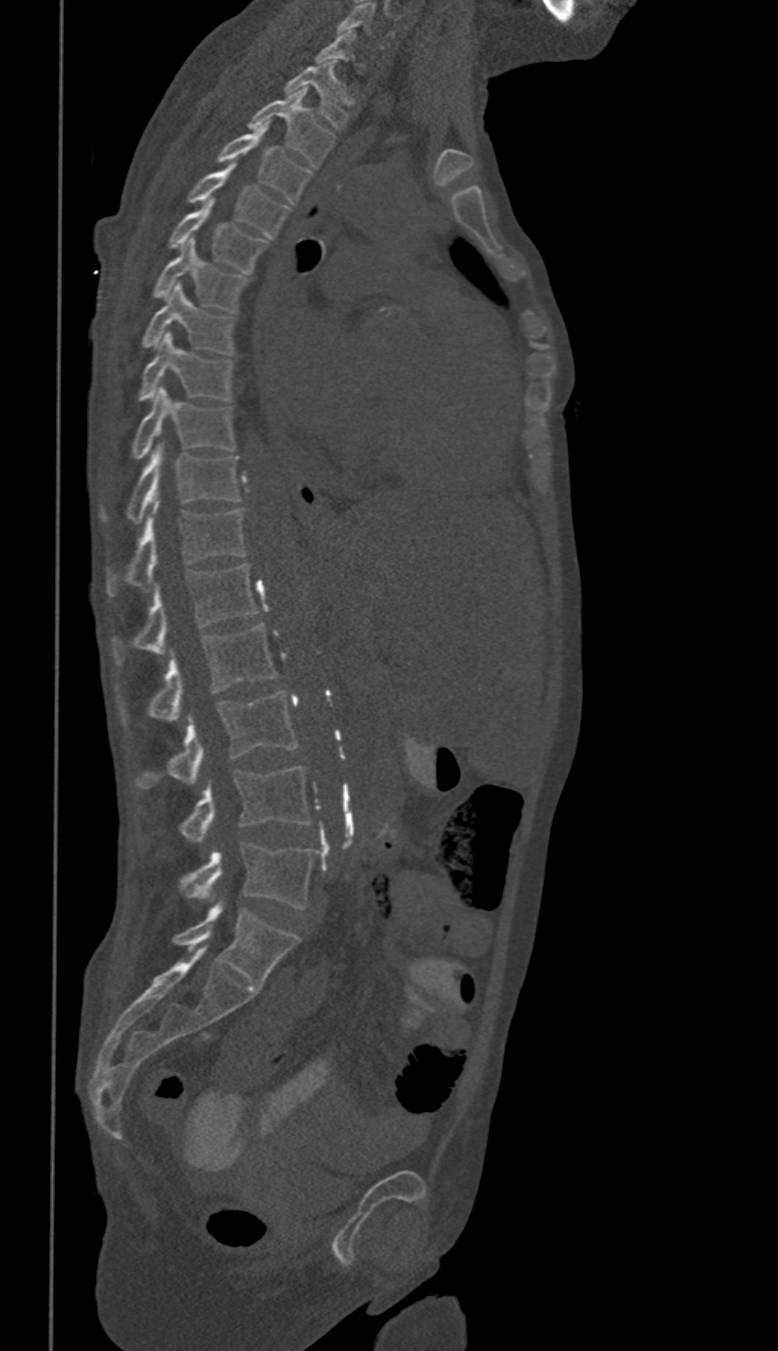

Spine computed tomography · sagittal view · bone window
Box edges are left/top/right/bottom in pixels.
Not every vertebra on this slice has a box: a vertebra is boxed only from the first to the last slice where its cross-section is at least a third of its largest, and this slice is outside that range for at least one of them.
These labels give this spine no T12: after T11 the next vertebra is L1.
Vertebra bounding boxes:
- C6: left=337, top=3, right=392, bottom=48
- T1: left=284, top=63, right=350, bottom=128
- T2: left=249, top=87, right=335, bottom=168
- T3: left=217, top=127, right=312, bottom=204
- T4: left=187, top=163, right=289, bottom=237
- T5: left=169, top=198, right=268, bottom=273
- T6: left=153, top=238, right=248, bottom=311
- T7: left=141, top=285, right=234, bottom=353
- T8: left=137, top=332, right=234, bottom=399
- T9: left=131, top=387, right=234, bottom=459
- T10: left=100, top=445, right=241, bottom=519
- T11: left=106, top=500, right=245, bottom=595
- L1: left=112, top=563, right=256, bottom=664
- L2: left=117, top=623, right=277, bottom=724
- L3: left=135, top=692, right=297, bottom=788
- L4: left=179, top=767, right=310, bottom=842
- L5: left=179, top=843, right=313, bottom=908